CT, spine — 140 mm across the image — sagittal reformat — 512x1010 px
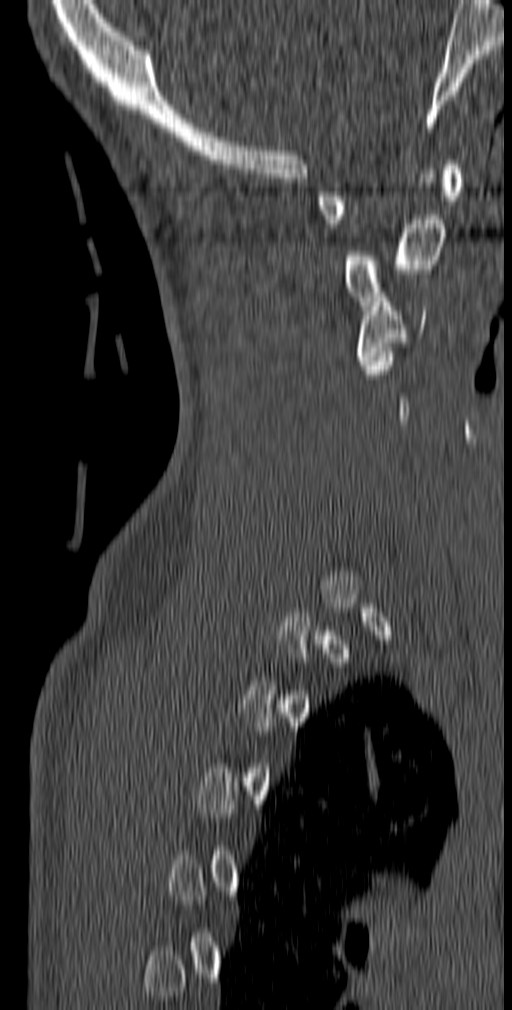
Not every vertebra on this slice has a box: a vertebra is boxed only from the first to the last slice where its cross-section is at least a third of its largest, and this slice is outside that range for at least one of them.
<vertebrae><v name="C1" x1="316" y1="160" x2="461" y2="228"/><v name="C2" x1="341" y1="169" x2="445" y2="305"/><v name="C3" x1="357" y1="293" x2="425" y2="369"/></vertebrae>